Spine CT · sagittal plane, index 260 · part of the image is a flat gray fill, not anatomy
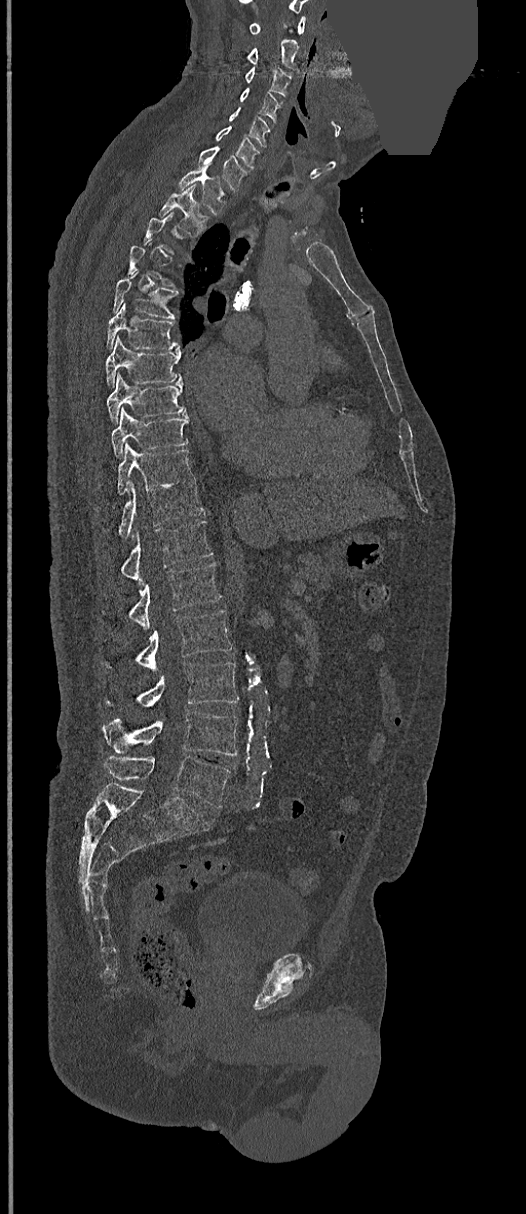

Boxes: x1 y1 x2 y2 (pixel coords, space-separated).
Each vertebra is boxed only on the slices from the first to the last where its cross-section reaches a third of its largest, so a slice outside that range leaves it unboxed.
Vertebra bounding boxes:
- C1: 250 16 306 35
- C2: 248 39 300 72
- C3: 245 67 291 95
- C4: 240 89 281 118
- C5: 230 107 270 145
- C6: 216 126 259 169
- C7: 198 147 249 190
- T1: 179 170 227 213
- T2: 160 184 206 235
- T5: 112 270 178 319
- T6: 107 303 179 350
- T7: 106 337 180 385
- T8: 107 374 186 422
- T9: 111 409 189 456
- T10: 117 443 194 495
- T11: 118 481 204 538
- T12: 121 520 212 583
- L1: 129 564 220 630
- L2: 106 610 232 672
- L3: 106 661 239 708
- L4: 103 711 237 755
- L5: 104 756 232 808